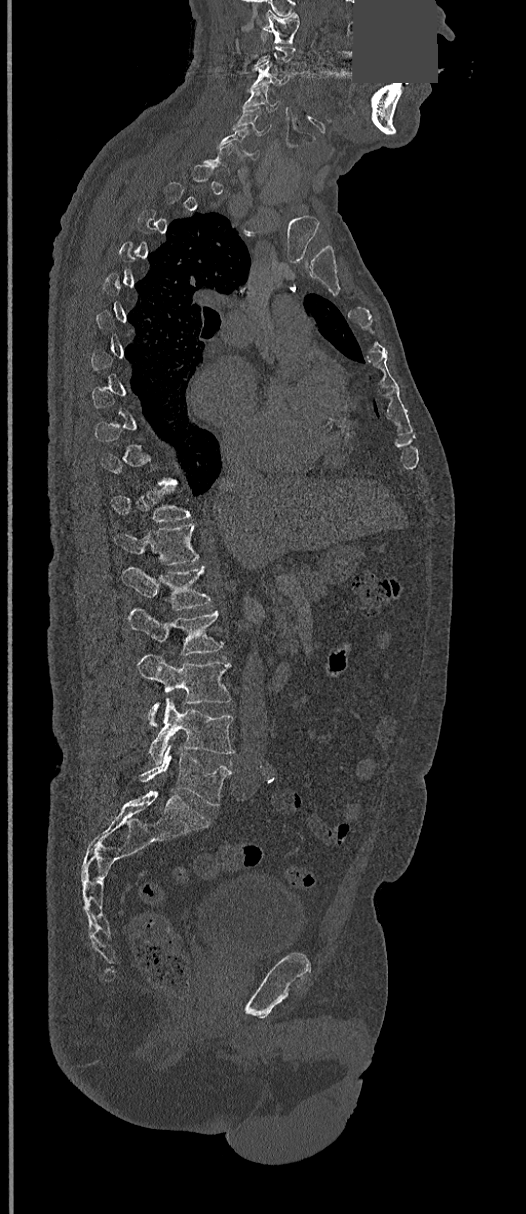

CT — sagittal reformat — a portion of the image is blanked out (constant pixel value)

A vertebra is boxed only from the first to the last slice where its cross-section is at least a third of its largest; slices outside that range leave it without a box.
<vertebrae><v name="C1" x1="263" y1="12" x2="299" y2="44"/><v name="C3" x1="248" y1="62" x2="291" y2="88"/><v name="C4" x1="242" y1="87" x2="279" y2="110"/><v name="C5" x1="233" y1="107" x2="272" y2="133"/><v name="C6" x1="217" y1="127" x2="260" y2="160"/><v name="T11" x1="111" y1="486" x2="190" y2="522"/><v name="T12" x1="114" y1="524" x2="200" y2="565"/><v name="L1" x1="121" y1="566" x2="212" y2="610"/><v name="L2" x1="128" y1="607" x2="223" y2="656"/><v name="L3" x1="137" y1="654" x2="232" y2="726"/><v name="L4" x1="148" y1="698" x2="234" y2="764"/><v name="L5" x1="139" y1="746" x2="230" y2="805"/></vertebrae>